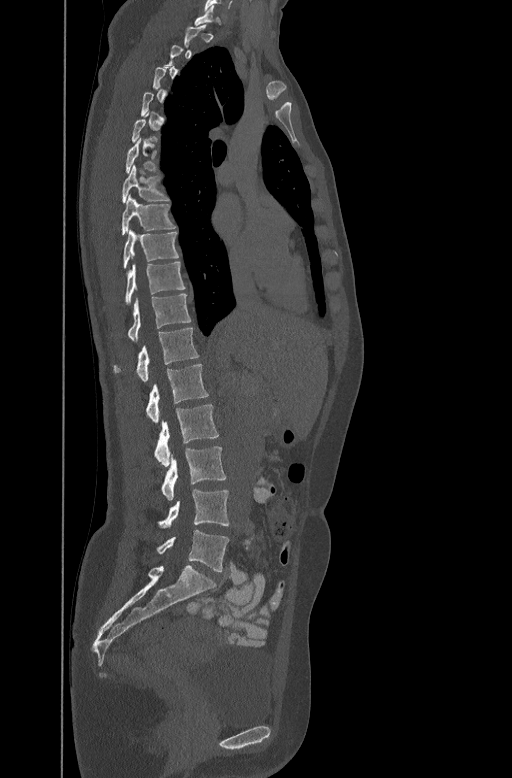
CT. sagittal view. bone-window reconstruction. 512x778 px. 447 mm image width

Coordinates as <box>x1,y1,x2,y2</box>.
Each vertebra is boxed only on the slices from the first to the last where its cross-section reaches a third of its largest, so a slice outside that range leaves it unboxed.
Vertebra bounding boxes:
- L5: <box>156,530,229,571</box>
- L4: <box>157,489,229,528</box>
- L3: <box>160,446,226,499</box>
- L2: <box>153,404,219,465</box>
- L1: <box>145,363,209,423</box>
- T12: <box>113,326,198,380</box>
- T11: <box>111,293,191,340</box>
- T10: <box>124,261,186,303</box>
- T9: <box>122,229,179,268</box>
- T8: <box>120,194,176,234</box>
- T7: <box>121,163,170,201</box>
- T6: <box>125,136,159,173</box>
- C7: <box>194,6,225,25</box>